CT, spine — sagittal reformat — 768x1012 px
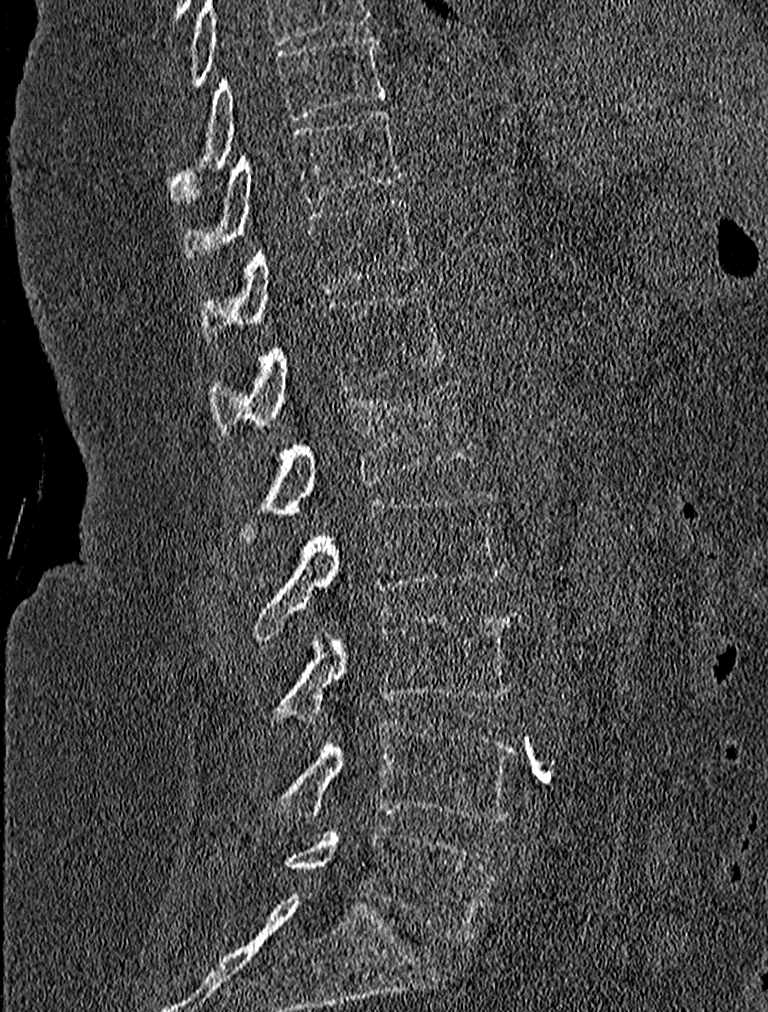 Each box given as x1,y1,x2,y2.
Vertebra bounding boxes:
- T9: x1=168, y1=33, x2=384, y2=201
- T10: x1=182, y1=108, x2=404, y2=259
- T11: x1=198, y1=196, x2=417, y2=342
- T12: x1=209, y1=285, x2=448, y2=436
- L1: x1=236, y1=382, x2=475, y2=543
- L2: x1=249, y1=490, x2=502, y2=640
- L3: x1=269, y1=607, x2=522, y2=721
- L4: x1=269, y1=719, x2=516, y2=823
- L5: x1=283, y1=824, x2=495, y2=938